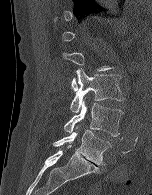
CT, spine. sagittal view. bone-window reconstruction
Each box given as x1,y1,x2,y2.
A vertebra is boxed only from the first to the last slice where its cross-section is at least a third of its largest; slices outside that range leave it without a box.
L3: x1=70, y1=68, x2=125, y2=112
L4: x1=64, y1=98, x2=123, y2=136
L5: x1=53, y1=130, x2=111, y2=165